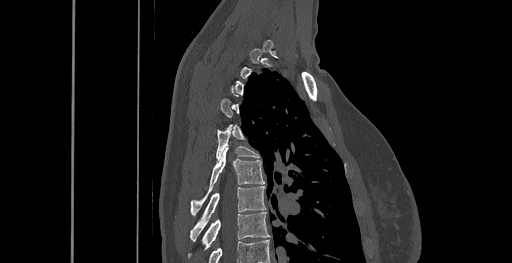 CT spine; sagittal view; bone-window reconstruction
Boxes: x1:y1:x2:y2 in pixels.
A vertebra gets a box only on the slices from the first to the last where its cross-section is at least a third of its largest; on a slice outside that range it gets none.
T8: 189:212:269:255
T7: 190:186:265:241
T6: 191:149:264:216
T5: 216:127:259:159